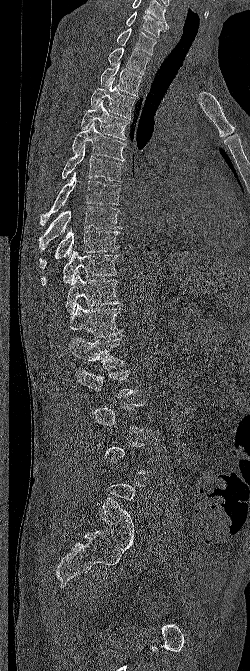

Spine computed tomography — sagittal view — 250 mm image width — bone window
Boxes: x1:y1:x2:y2 in pixels.
A vertebra is boxed only from the first to the last slice where its cross-section is at least a third of its largest; slices outside that range leave it without a box.
Labels in this scan begin with C6 at the top and end with L5 at the bottom.
Vertebra bounding boxes:
- C6: 126:11:169:37
- C7: 116:28:156:55
- T1: 108:47:150:74
- T2: 100:61:141:95
- T3: 90:79:135:118
- T4: 81:100:129:140
- T5: 72:122:126:161
- T6: 61:143:122:181
- T7: 40:171:120:225
- T8: 39:206:119:249
- T9: 39:227:119:268
- T10: 41:251:118:285
- T11: 65:271:121:314
- T12: 69:303:122:337
- L1: 68:337:124:368
- L2: 75:367:138:398